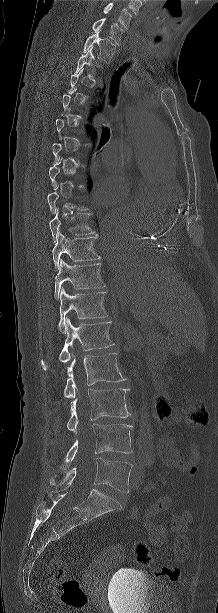

CT · sagittal view · W/L 1800/400 HU · the image spans 218 mm across
Box values are [left, top, right, bottom] in pixels.
A vertebra gets a box only on the slices from the first to the last where its cross-section is at least a third of its largest; on a slice outside that range it gets none.
This scan's labels start at C7 at the top and end at L5 at the bottom.
{"vertebrae":{"L5":[50,457,132,492],"L4":[59,424,132,468],"L3":[67,389,130,433],"L2":[63,353,126,398],"L1":[41,317,114,369],"T12":[58,287,107,333],"T11":[54,259,104,299],"T10":[52,232,100,268],"T9":[49,208,94,242],"T2":[74,46,96,74],"T1":[83,30,115,63],"C7":[92,18,124,45]}}